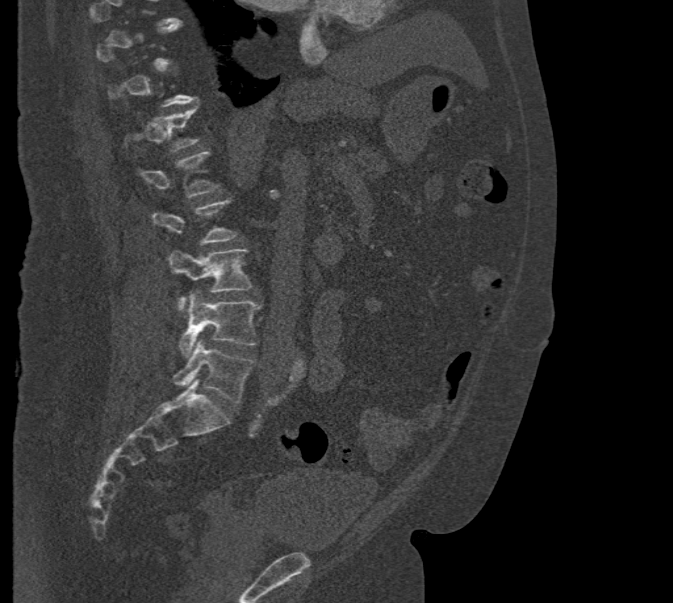
CT, spine · sagittal view · 673x603 px

Bounding boxes as [x1, y1, x2, y2] in pixel coordinates.
A vertebra is boxed only from the first to the last slice where its cross-section is at least a third of its largest; slices outside that range leave it without a box.
L1: [138, 152, 218, 198]
L2: [151, 199, 236, 244]
L3: [167, 249, 251, 311]
L4: [179, 292, 261, 357]
L5: [172, 340, 255, 402]